Spine computed tomography · sagittal view · bone window · 512x757 px
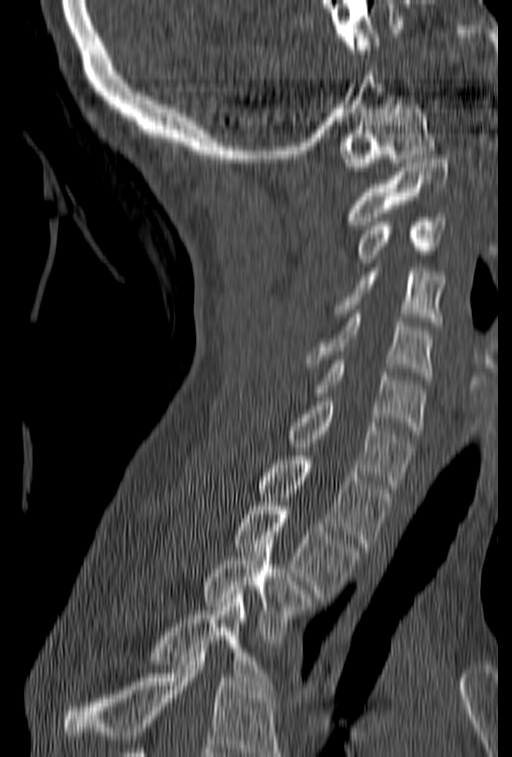
No box is given to a vertebra that the bottom edge of the scan cuts off.
<vertebrae><v name="T4" x1="155" y1="590" x2="274" y2="693"/><v name="T3" x1="204" y1="540" x2="309" y2="643"/><v name="T2" x1="234" y1="502" x2="358" y2="597"/><v name="T1" x1="260" y1="452" x2="392" y2="547"/><v name="C7" x1="289" y1="397" x2="412" y2="488"/><v name="C6" x1="311" y1="360" x2="425" y2="434"/><v name="C5" x1="307" y1="314" x2="433" y2="380"/><v name="C4" x1="335" y1="268" x2="442" y2="321"/><v name="C3" x1="359" y1="213" x2="445" y2="263"/><v name="C2" x1="349" y1="155" x2="449" y2="225"/><v name="C1" x1="340" y1="96" x2="434" y2="171"/></vertebrae>